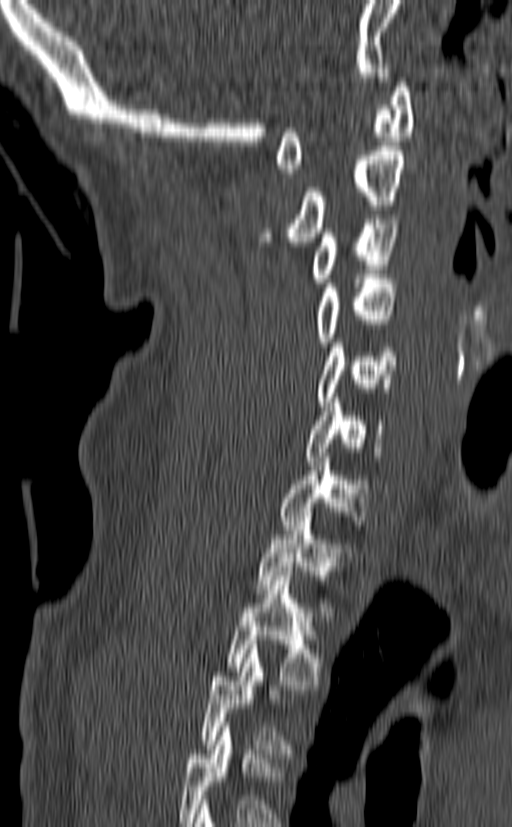 CT. sagittal view. bone-window reconstruction

Boxes are given in columns x1, y1, x2, y2, the pixel coordinates of their top-left and bottom-right corners.
Labels in this scan begin with C1 at the top and end with T3 at the bottom.
| vertebra | x1 | y1 | x2 | y2 |
|---|---|---|---|---|
| C1 | 276 | 78 | 414 | 173 |
| C2 | 259 | 146 | 406 | 246 |
| C3 | 309 | 219 | 399 | 287 |
| C4 | 312 | 274 | 398 | 346 |
| C5 | 316 | 338 | 398 | 406 |
| C6 | 304 | 398 | 385 | 461 |
| C7 | 279 | 453 | 370 | 534 |
| T1 | 257 | 512 | 354 | 616 |
| T2 | 224 | 571 | 326 | 689 |
| T3 | 201 | 645 | 293 | 758 |